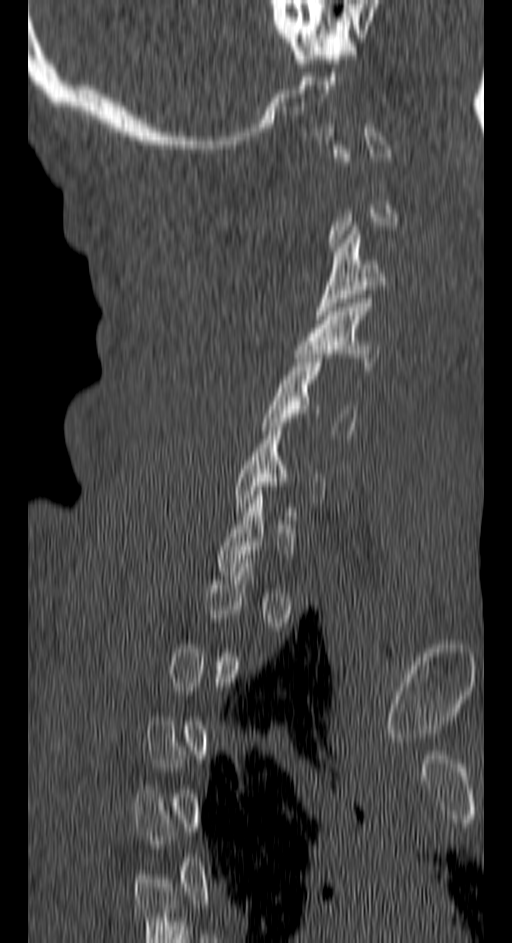

Spine CT — sagittal view — W/L 1800/400 HU. Each box given as x1,y1,x2,y2.
Not every vertebra on this slice has a box: a vertebra is boxed only from the first to the last slice where its cross-section is at least a third of its largest, and this slice is outside that range for at least one of them.
C3: x1=314, y1=226, x2=386, y2=319
C4: x1=294, y1=299, x2=379, y2=370
C5: x1=261, y1=354, x2=355, y2=434